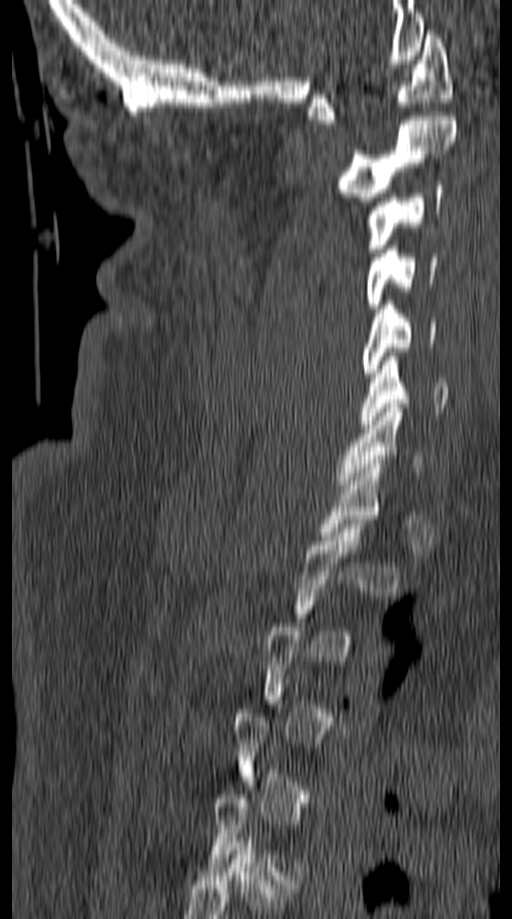 CT; sagittal reformat; image width 149 mm; bone-window reconstruction; 512x919 px
Each box is [x1, y1, x2, y2] in pixels: top-left corner, then bottom-right corner.
A vertebra is boxed only from the first to the last slice where its cross-section is at least a third of its largest; slices outside that range leave it without a box.
{"vertebrae":{"C1":[309,30,454,124],"C2":[335,116,457,201],"C3":[365,185,443,252],"C4":[365,245,437,308],"C5":[362,301,436,377],"C6":[359,357,448,424],"C7":[334,404,426,489]}}